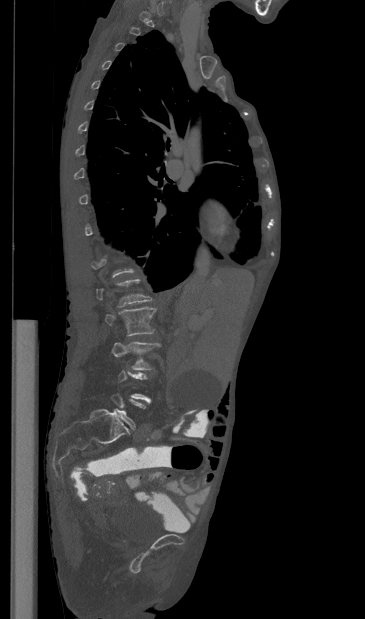
CT; the image spans 365 mm across; sagittal view; W/L 1800/400 HU; 365x619 px
Columns x1, y1, x2, y2 give each box's top-left and bottom-right pixels.
Each vertebra is boxed only on the slices from the first to the last where its cross-section reaches a third of its largest, so a slice outside that range leaves it unboxed.
| vertebra | x1 | y1 | x2 | y2 |
|---|---|---|---|---|
| L2 | 105 | 307 | 156 | 336 |
| L3 | 112 | 341 | 160 | 370 |